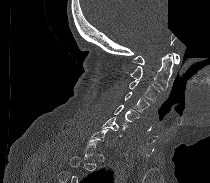
Computed tomography of the spine; 210 mm wide; sagittal reformat; Bone window (WL 400, WW 1800); a region of this slice is masked with a uniform fill
Each vertebra is boxed only on the slices from the first to the last where its cross-section reaches a third of its largest, so a slice outside that range leaves it unboxed.
<vertebrae><v name="C1" x1="132" y1="53" x2="179" y2="64"/><v name="C2" x1="126" y1="53" x2="173" y2="90"/><v name="C3" x1="128" y1="80" x2="160" y2="102"/><v name="C4" x1="125" y1="92" x2="149" y2="112"/><v name="C5" x1="114" y1="105" x2="139" y2="121"/><v name="C6" x1="101" y1="116" x2="128" y2="136"/></vertebrae>